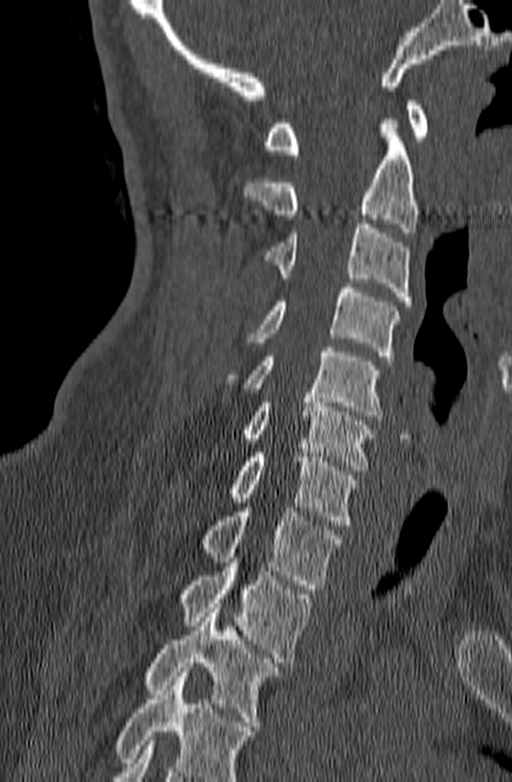

Spine CT · sagittal view
Each box given as x1,y1,x2,y2.
Where the bottom of the scan cuts through a vertebra, that vertebra gets no label or box.
C1: x1=264, y1=101, x2=428, y2=154
C2: x1=241, y1=119, x2=419, y2=232
C3: x1=257, y1=219, x2=411, y2=305
C4: x1=246, y1=283, x2=399, y2=360
C5: x1=225, y1=347, x2=383, y2=420
C6: x1=243, y1=393, x2=373, y2=470
C7: x1=228, y1=453, x2=359, y2=525
T1: x1=199, y1=507, x2=340, y2=589
T2: x1=181, y1=558, x2=311, y2=662
T3: x1=144, y1=608, x2=280, y2=726